Spine CT. sagittal view. 283x239 px. scan covers 9 annotated vertebrae. 283 mm wide. an area of the scan was removed and filled with constant pixels
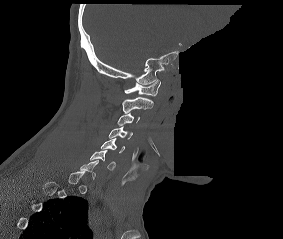 Box values are [left, top, right, bottom] in pixels.
A vertebra is boxed only from the first to the last slice where its cross-section is at least a third of its largest; slices outside that range leave it without a box.
{"vertebrae":{"C1":[124,79,160,95],"C2":[122,96,153,113],"C3":[117,113,140,125],"C4":[109,126,133,139],"C5":[101,138,124,153],"C6":[90,150,115,170]}}